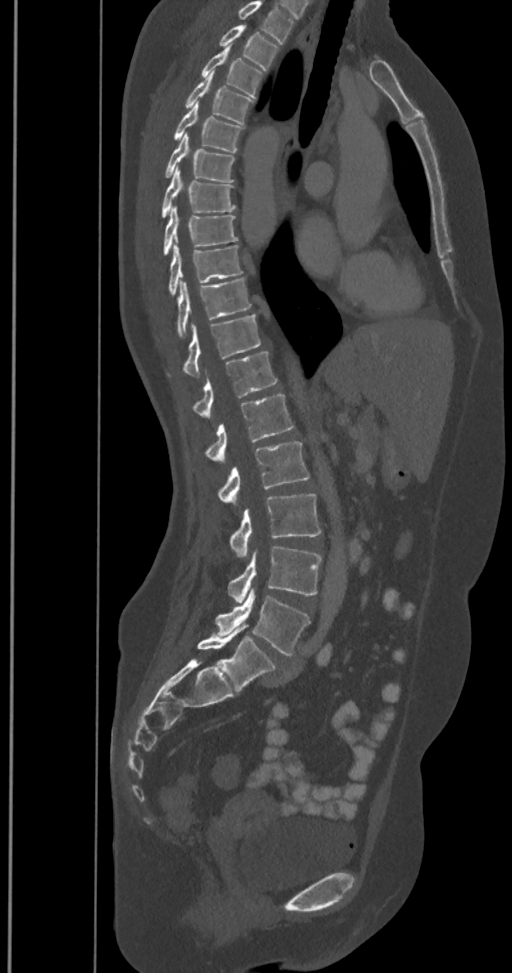

CT, spine — sagittal view — 512x973 px — 350 mm wide. Boxes: x1:y1:x2:y2 in pixels. The highest labeled vertebra in this scan is T2; the lowest is L6. In these labels the spine has an L6, a sixth lumbar vertebra below L5. 17 vertebrae labeled — T2 at 218:25:278:71; T3 at 200:47:264:99; T4 at 183:72:253:125; T5 at 171:103:245:153; T6 at 164:133:234:182; T7 at 161:169:236:219; T8 at 162:207:239:256; T9 at 168:245:242:297; T10 at 158:278:252:340; T11 at 167:313:261:377; T12 at 191:352:277:416; L1 at 203:394:294:461; L2 at 216:441:309:502; L3 at 228:494:321:557; L4 at 228:546:322:602; L5 at 216:590:310:655; L6 at 197:625:275:693.